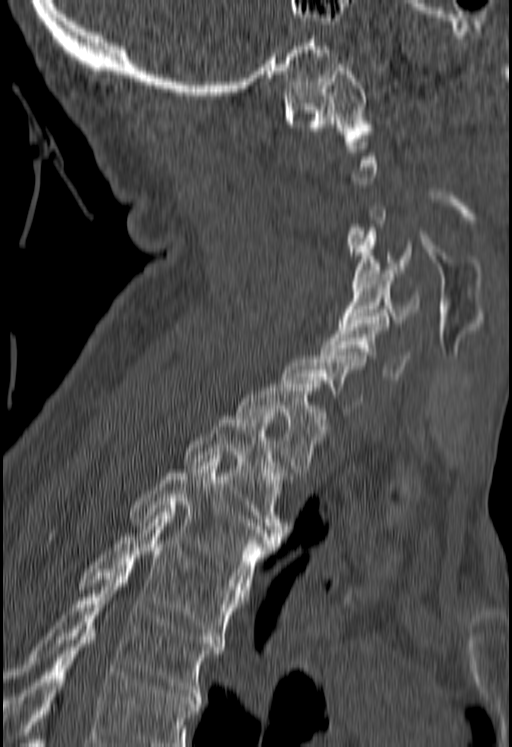 Spine computed tomography · sagittal reformat

Boxes: x1:y1:x2:y2 in pixels.
A vertebra gets a box only on the slices from the first to the last where its cross-section is at least a third of its largest; on a slice outside that range it gets none.
Vertebrae that run past the bottom of the scan are left unlabeled.
C1: 283:64:371:141
C4: 351:228:411:291
C5: 338:270:419:326
C6: 322:316:409:379
T1: 236:384:328:472
T2: 183:416:286:539
T3: 129:459:279:586
T4: 78:512:245:643
T5: 3:569:222:696